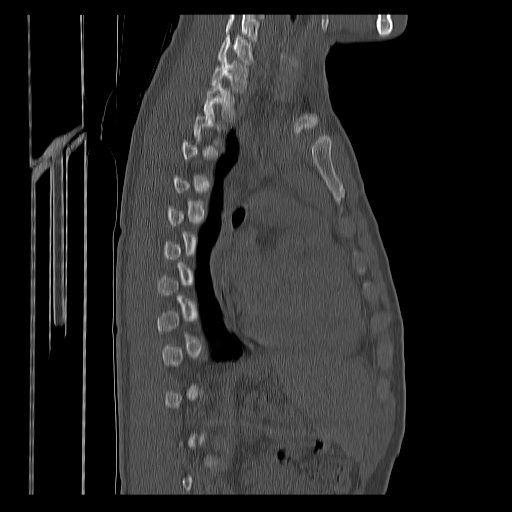
CT — sagittal reformat — bone-window reconstruction. Boxes: x1 y1 x2 y2 (pixel coords, space-separated).
Each vertebra is boxed only on the slices from the first to the last where its cross-section reaches a third of its largest, so a slice outside that range leaves it unboxed.
Labels in this scan begin with C7 at the top and end with T12 at the bottom.
C7: 218 35 253 63
T1: 211 55 247 91
T2: 204 82 235 119